Spine CT. sagittal reformat. W/L 1800/400 HU
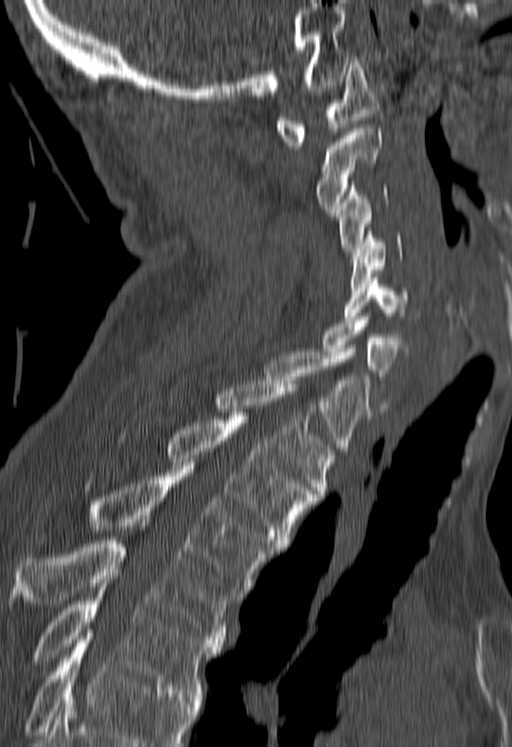 Box edges are left/top/right/bottom in pixels.
A vertebra cut off by the bottom edge of the scan is not labeled and has no box.
Vertebra bounding boxes:
- C1: left=275, top=57, right=381, bottom=148
- C2: left=317, top=128, right=381, bottom=212
- C3: left=337, top=181, right=387, bottom=251
- C4: left=351, top=231, right=401, bottom=287
- C5: left=344, top=277, right=407, bottom=319
- C6: left=322, top=316, right=408, bottom=408
- C7: left=265, top=352, right=370, bottom=454
- T1: left=214, top=380, right=336, bottom=497
- T2: left=166, top=416, right=316, bottom=547
- T3: left=41, top=466, right=276, bottom=596
- T4: left=7, top=540, right=236, bottom=643
- T5: left=32, top=583, right=222, bottom=696